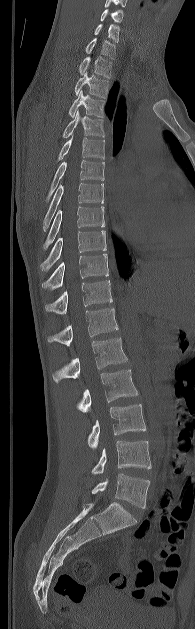 Computed tomography of the spine · image width 195 mm · sagittal reformat
Box edges are left/top/right/bottom in pixels.
| vertebra | x1 | y1 | x2 | y2 |
|---|---|---|---|---|
| C5 | 100 | 8 | 123 | 23 |
| C6 | 94 | 24 | 119 | 42 |
| C7 | 85 | 38 | 115 | 59 |
| T1 | 79 | 56 | 111 | 78 |
| T2 | 74 | 72 | 108 | 98 |
| T3 | 68 | 90 | 104 | 117 |
| T4 | 62 | 110 | 104 | 137 |
| T5 | 57 | 137 | 104 | 161 |
| T6 | 46 | 160 | 104 | 200 |
| T7 | 43 | 183 | 103 | 229 |
| T8 | 43 | 206 | 105 | 249 |
| T9 | 40 | 230 | 106 | 272 |
| T10 | 42 | 254 | 108 | 289 |
| T11 | 45 | 280 | 112 | 314 |
| T12 | 48 | 308 | 118 | 346 |
| L1 | 52 | 337 | 127 | 382 |
| L2 | 77 | 369 | 137 | 412 |
| L3 | 88 | 404 | 146 | 449 |
| L4 | 91 | 441 | 151 | 474 |
| L5 | 92 | 473 | 149 | 508 |